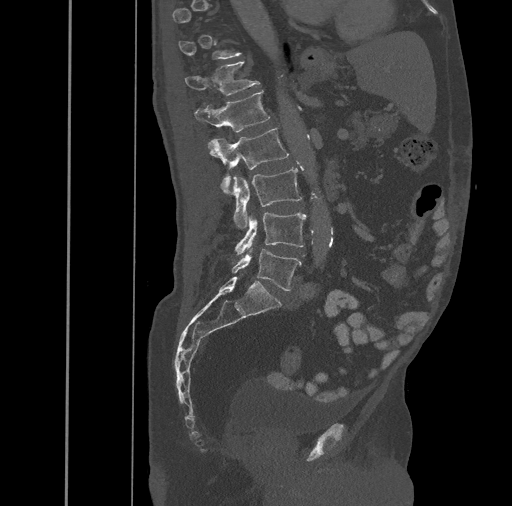

Computed tomography of the spine · sagittal view · Bone window (WL 400, WW 1800) · 512x506 px
A vertebra gets a box only on the slices from the first to the last where its cross-section is at least a third of its largest; on a slice outside that range it gets none.
<vertebrae><v name="T12" x1="184" y1="61" x2="260" y2="95"/><v name="L1" x1="195" y1="91" x2="270" y2="132"/><v name="L2" x1="208" y1="128" x2="289" y2="193"/><v name="L3" x1="232" y1="167" x2="302" y2="227"/><v name="L4" x1="235" y1="213" x2="306" y2="254"/><v name="L5" x1="232" y1="248" x2="302" y2="291"/></vertebrae>